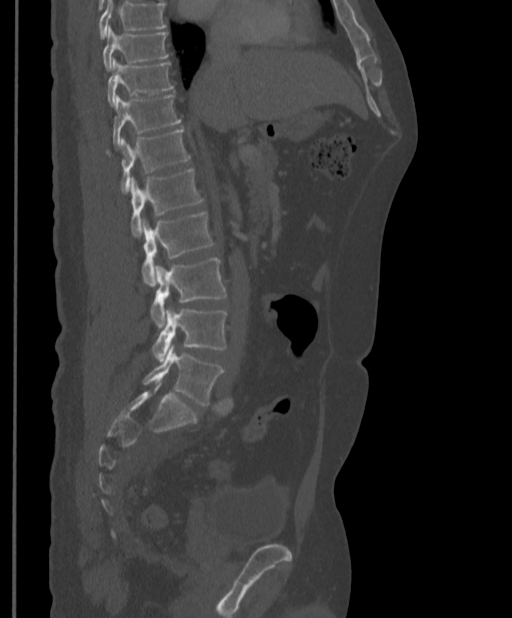

CT, spine · sagittal view · image width 397 mm
Boxes below are [x1, y1, x2, y2] in pixels.
A vertebra cut off by the top edge of the scan is not labeled and has no box.
{"vertebrae":{"T9":[103,27,168,70],"T10":[107,59,173,106],"T11":[112,94,181,146],"T12":[106,129,190,192],"L1":[129,169,203,236],"L2":[142,212,214,285],"L3":[151,258,226,327],"L4":[152,307,227,361],"L5":[143,344,223,405]}}